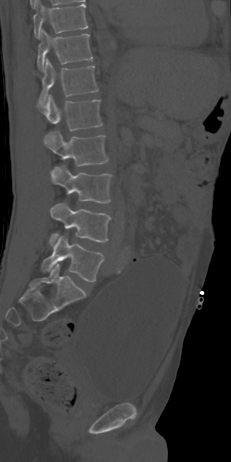

CT · sagittal view · Bone window (WL 400, WW 1800)

Bounding boxes as [x1, y1, x2, y2] in pixel coordinates.
Vertebra bounding boxes:
- T10: [33, 0, 88, 37]
- T11: [37, 30, 92, 70]
- T12: [33, 58, 98, 105]
- L1: [37, 95, 102, 131]
- L2: [44, 131, 108, 166]
- L3: [51, 166, 111, 203]
- L4: [49, 203, 110, 245]
- L5: [41, 235, 103, 281]